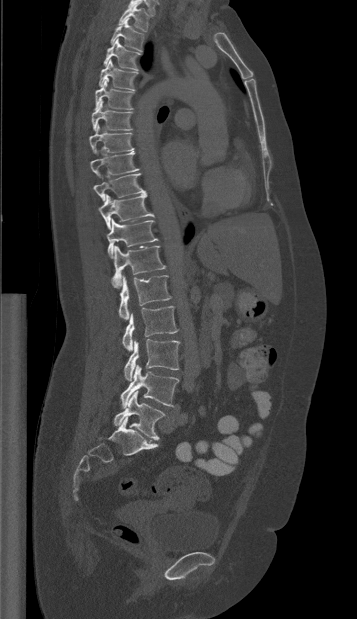

CT, spine. sagittal reformat. W/L 1800/400 HU. Boxes: x1 y1 x2 y2 (pixel coords, space-separated).
T1: 118 2 149 31
T2: 110 18 144 51
T3: 103 38 141 69
T4: 98 59 138 90
T5: 95 78 133 109
T6: 91 99 132 130
T7: 89 124 133 153
T8: 90 151 139 177
T9: 93 173 145 200
T10: 98 194 153 229
T11: 107 219 157 256
T12: 111 246 167 287
L1: 118 275 170 319
L2: 122 306 178 351
L3: 124 339 179 380
L4: 120 365 179 407
L5: 113 391 165 439